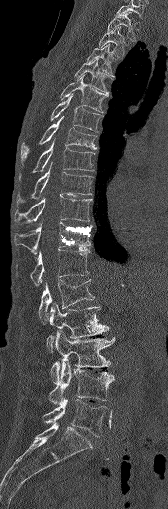 CT, spine; sagittal view; Bone window (WL 400, WW 1800)
Bounding boxes as [x1, y1, x2, y2] in pixel coordinates.
C7: [117, 0, 144, 16]
T1: [107, 12, 135, 40]
T2: [99, 26, 125, 56]
T3: [86, 44, 113, 74]
T4: [75, 59, 109, 96]
T5: [61, 75, 106, 113]
T6: [51, 94, 101, 131]
T7: [21, 116, 96, 160]
T8: [20, 138, 94, 177]
T9: [17, 163, 92, 205]
T10: [14, 197, 90, 222]
T11: [14, 222, 91, 253]
T12: [30, 247, 90, 285]
L1: [38, 279, 94, 323]
L2: [46, 303, 107, 348]
L3: [50, 331, 113, 383]
L4: [49, 359, 113, 404]
L5: [43, 399, 110, 436]